Spine computed tomography — sagittal reformat
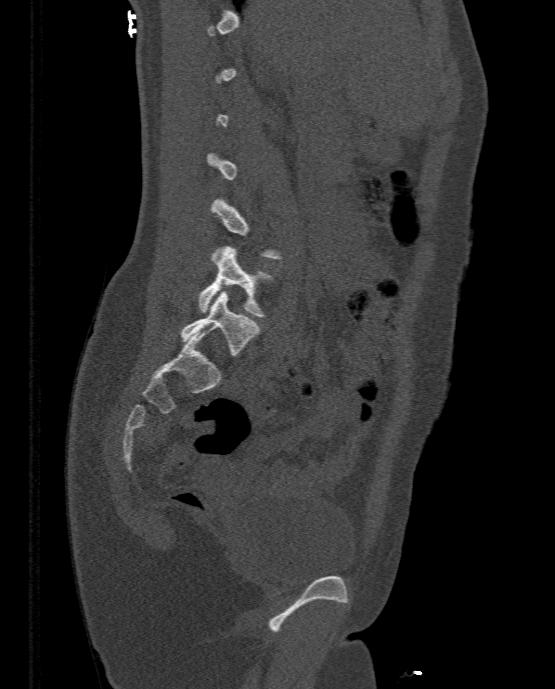 A vertebra is boxed only from the first to the last slice where its cross-section is at least a third of its largest; slices outside that range leave it without a box.
<vertebrae><v name="L4" x1="198" y1="246" x2="273" y2="316"/><v name="L5" x1="180" y1="290" x2="259" y2="355"/></vertebrae>